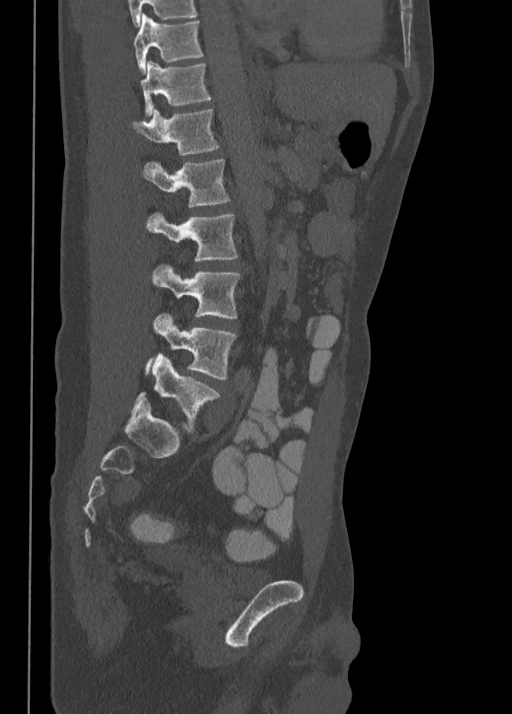
CT, spine · sagittal view · 512x714 px
Each row gives a vertebra's box as x1, y1, x2, y2 in pixels: top-left corner, then bottom-right corner.
| vertebra | x1 | y1 | x2 | y2 |
|---|---|---|---|---|
| T10 | 134 | 13 | 204 | 73 |
| T11 | 140 | 61 | 211 | 117 |
| T12 | 133 | 109 | 220 | 156 |
| L1 | 143 | 159 | 230 | 207 |
| L2 | 148 | 212 | 239 | 261 |
| L3 | 152 | 263 | 240 | 318 |
| L4 | 145 | 313 | 237 | 379 |
| L5 | 134 | 354 | 221 | 432 |